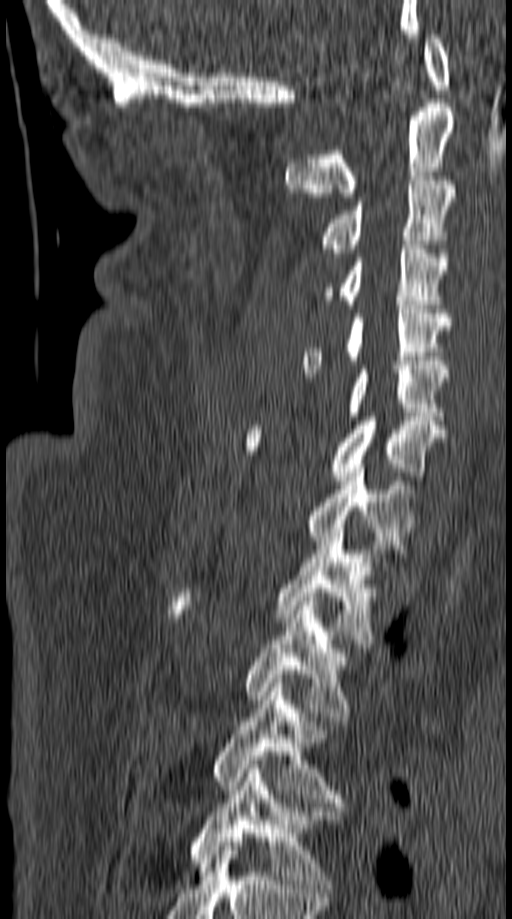

CT, spine · sagittal view · Bone window (WL 400, WW 1800)

Box edges are left/top/right/bottom in pixels.
C1: left=424, top=34, right=450, bottom=89
C2: left=286, top=103, right=454, bottom=197
C3: left=320, top=176, right=454, bottom=257
C4: left=323, top=245, right=447, bottom=308
C5: left=302, top=305, right=448, bottom=373
C6: left=345, top=365, right=447, bottom=420
C7: left=244, top=412, right=445, bottom=484
T1: left=307, top=464, right=416, bottom=549
T2: left=170, top=528, right=371, bottom=643
T3: left=245, top=597, right=347, bottom=721
T4: left=214, top=683, right=340, bottom=807
T5: left=190, top=765, right=340, bottom=892